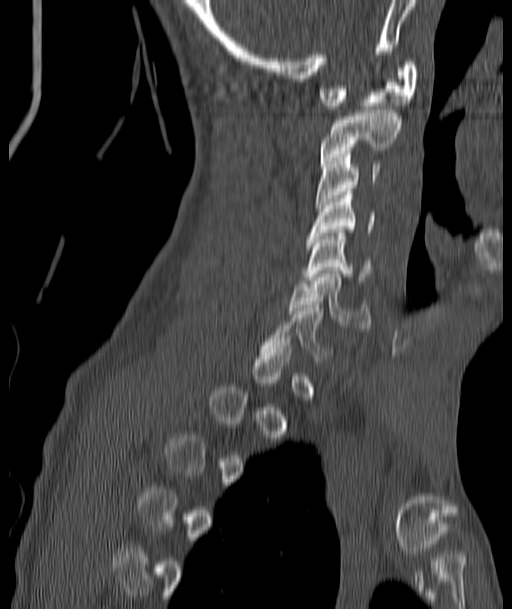

CT spine; sagittal view; W/L 1800/400 HU
Each vertebra maps to its box as [x1, y1, x2, y2], the pixel coordinates of its top-left and bottom-right corners.
A vertebra is boxed only from the first to the last slice where its cross-section is at least a third of its largest; slices outside that range leave it without a box.
{"vertebrae":{"C1":[318,62,419,109],"C2":[321,110,402,163],"C3":[316,151,380,208],"C4":[307,192,375,239],"C5":[305,229,372,283],"C6":[288,270,371,328]}}